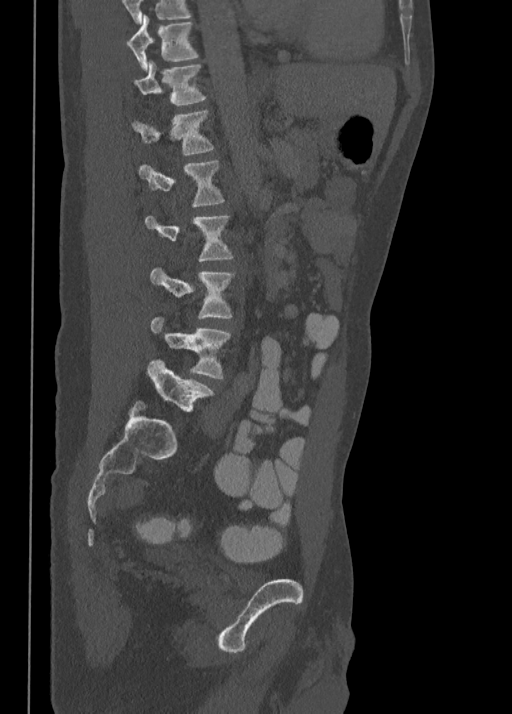 CT spine · sagittal view
Each row gives a vertebra's box as x1, y1, x2, y2 in pixels: top-left corner, then bottom-right corner.
| vertebra | x1 | y1 | x2 | y2 |
|---|---|---|---|---|
| T10 | 127 | 14 | 198 | 70 |
| T11 | 134 | 61 | 205 | 106 |
| T12 | 132 | 109 | 214 | 156 |
| L1 | 139 | 161 | 224 | 207 |
| L2 | 145 | 215 | 233 | 261 |
| L3 | 150 | 267 | 233 | 318 |
| L4 | 149 | 317 | 230 | 378 |
| L5 | 148 | 359 | 214 | 411 |